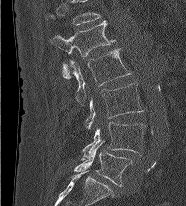

Spine computed tomography · sagittal view · Bone window (WL 400, WW 1800) · image width 186 mm · 186x206 px

The highest labeled vertebra in this scan is L1; the lowest is L5.
<vertebrae><v name="L5" x1="74" y1="141" x2="132" y2="186"/><v name="L4" x1="80" y1="122" x2="147" y2="159"/><v name="L3" x1="85" y1="83" x2="143" y2="129"/><v name="L2" x1="70" y1="48" x2="131" y2="105"/><v name="L1" x1="50" y1="20" x2="115" y2="79"/></vertebrae>